Spine computed tomography — sagittal view — 512x705 px — 17 vertebrae labeled in this scan
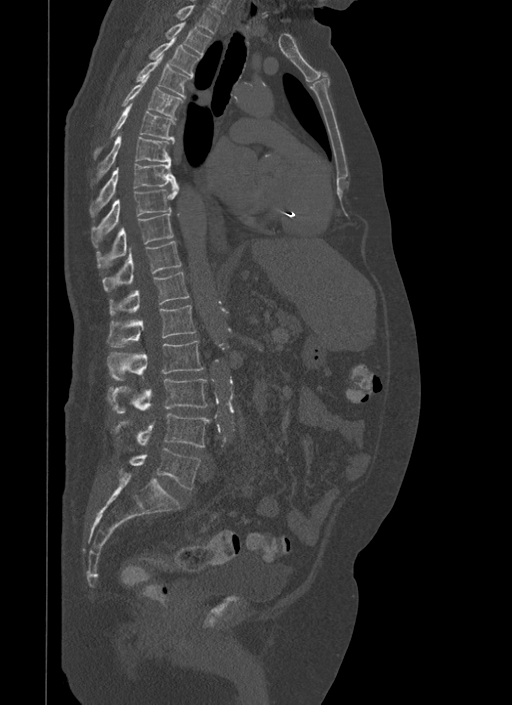
<vertebrae><v name="T1" x1="176" y1="4" x2="220" y2="34"/><v name="T2" x1="166" y1="22" x2="211" y2="56"/><v name="T3" x1="150" y1="37" x2="200" y2="78"/><v name="T4" x1="137" y1="53" x2="188" y2="97"/><v name="T5" x1="121" y1="75" x2="183" y2="120"/><v name="T6" x1="94" y1="103" x2="174" y2="158"/><v name="T7" x1="97" y1="135" x2="174" y2="180"/><v name="T8" x1="90" y1="163" x2="177" y2="216"/><v name="T9" x1="91" y1="185" x2="178" y2="247"/><v name="T10" x1="96" y1="213" x2="173" y2="268"/><v name="T11" x1="102" y1="241" x2="182" y2="291"/><v name="T12" x1="109" y1="271" x2="189" y2="315"/><v name="L1" x1="106" y1="305" x2="196" y2="347"/><v name="L2" x1="107" y1="340" x2="204" y2="380"/><v name="L3" x1="107" y1="379" x2="207" y2="413"/><v name="L4" x1="114" y1="413" x2="210" y2="446"/><v name="L5" x1="128" y1="449" x2="200" y2="488"/></vertebrae>